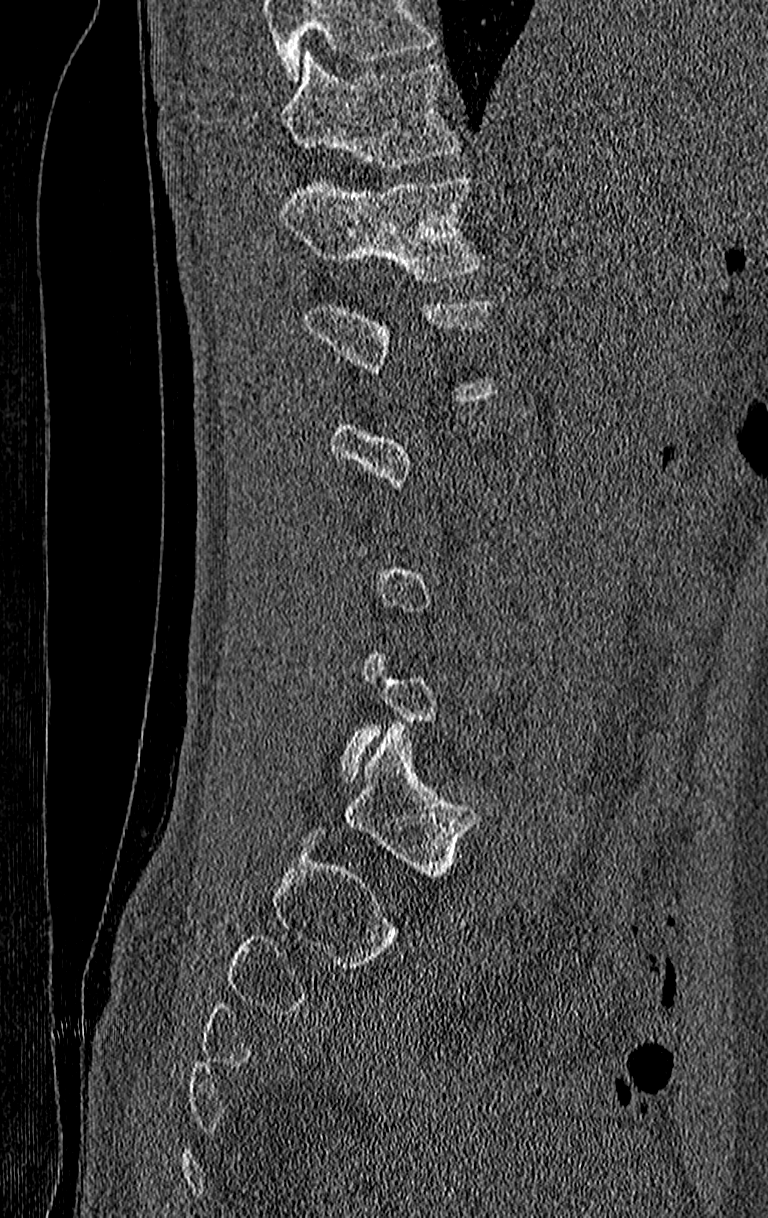
CT; sagittal view; image 210 mm wide. Bounding boxes as [x1, y1, x2, y2] in pixel coordinates.
Each vertebra is boxed only on the slices from the first to the last where its cross-section reaches a third of its largest, so a slice outside that range leaves it unboxed.
Where the top of the scan cuts through a vertebra, that vertebra gets no label or box.
T11: [280, 53, 458, 169]
T12: [280, 176, 480, 282]